CT — 500 mm across the image — sagittal view — a uniform gray block covers part of the image
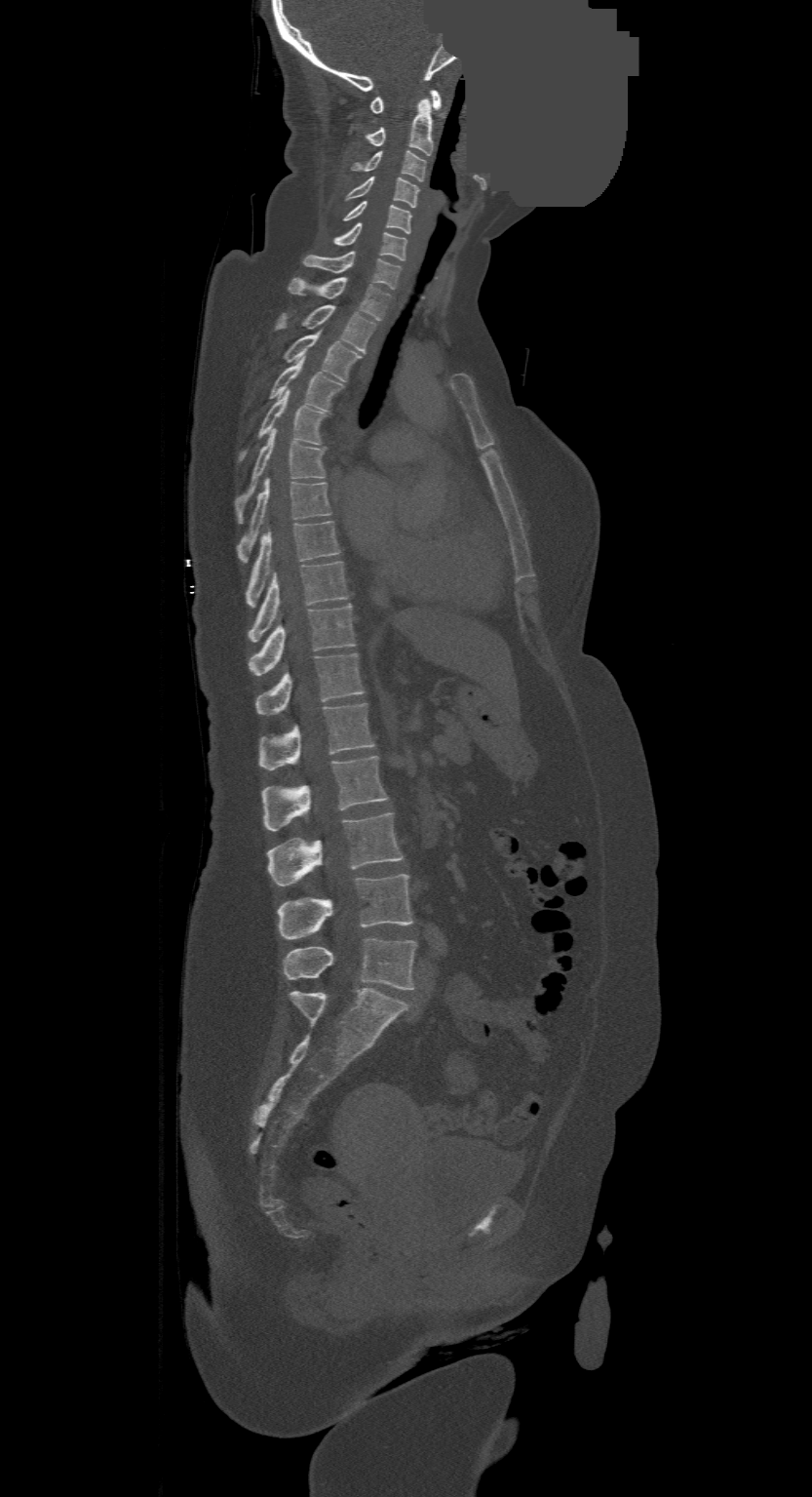
Boxes: x1:y1:x2:y2 in pixels.
Labels in this scan begin with C1 at the top and end with L4 at the bottom.
C1: 369:90:442:113
C2: 365:98:432:155
C3: 352:150:426:181
C4: 346:176:418:208
C5: 343:200:411:233
C6: 331:223:406:259
C7: 303:251:401:289
T1: 289:277:391:320
T2: 275:304:376:352
T3: 283:334:361:381
T4: 270:358:343:411
T5: 240:390:326:462
T6: 235:428:326:523
T7: 237:478:332:562
T8: 246:521:340:608
T9: 250:561:348:642
T10: 250:605:355:676
T11: 255:653:363:715
T12: 258:702:375:769
L1: 262:756:388:830
L2: 268:813:404:886
L3: 278:873:413:939
L4: 283:938:416:989